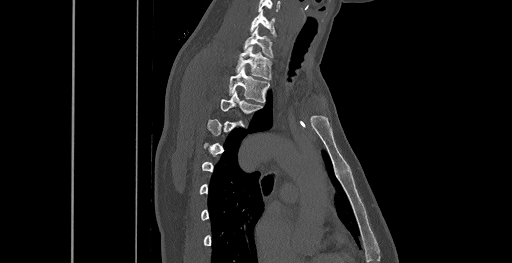

Computed tomography of the spine · the image spans 461 mm across · sagittal view · 512x263 px

Each row gives a vertebra's box as x1, y1, x2, y2 in pixels: top-left corner, then bottom-right corner.
A vertebra is boxed only from the first to the last slice where its cross-section is at least a third of its largest; slices outside that range leave it without a box.
| vertebra | x1 | y1 | x2 | y2 |
|---|---|---|---|---|
| C6 | 250 | 10 | 275 | 35 |
| C7 | 243 | 26 | 273 | 56 |
| T1 | 236 | 46 | 271 | 79 |
| T2 | 229 | 67 | 270 | 102 |
| T3 | 220 | 92 | 262 | 113 |